CT — sagittal view — image 221 mm wide — a region of this slice is masked with a uniform fill
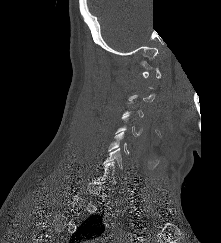
A vertebra gets a box only on the slices from the first to the last where its cross-section is at least a third of its largest; on a slice outside that range it gets none.
<vertebrae><v name="C6" x1="102" y1="148" x2="122" y2="169"/><v name="C5" x1="108" y1="131" x2="128" y2="154"/></vertebrae>